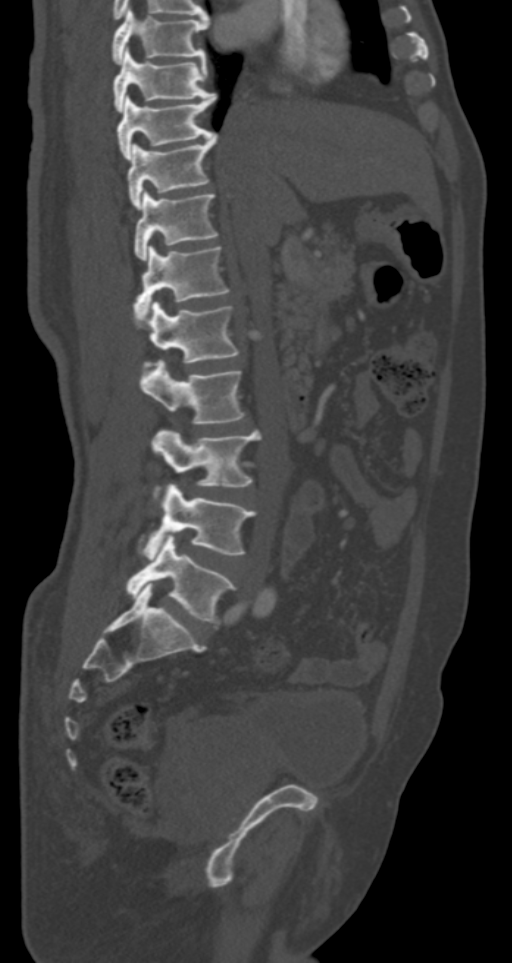

Spine CT — sagittal view
Coordinates as <box>x1,y1,x2,y2</box>. Vertebrae labeled: T7 at <box>112,9,207,63</box>, T8 at <box>112,50,214,111</box>, T9 at <box>117,94,216,159</box>, T10 at <box>128,134,218,208</box>, T11 at <box>133,191,218,259</box>, T12 at <box>133,246,229,320</box>, L1 at <box>144,301,239,367</box>, L2 at <box>141,360,245,424</box>, L3 at <box>151,430,261,505</box>, L4 at <box>138,483,255,558</box>, L5 at <box>126,537,234,623</box>.